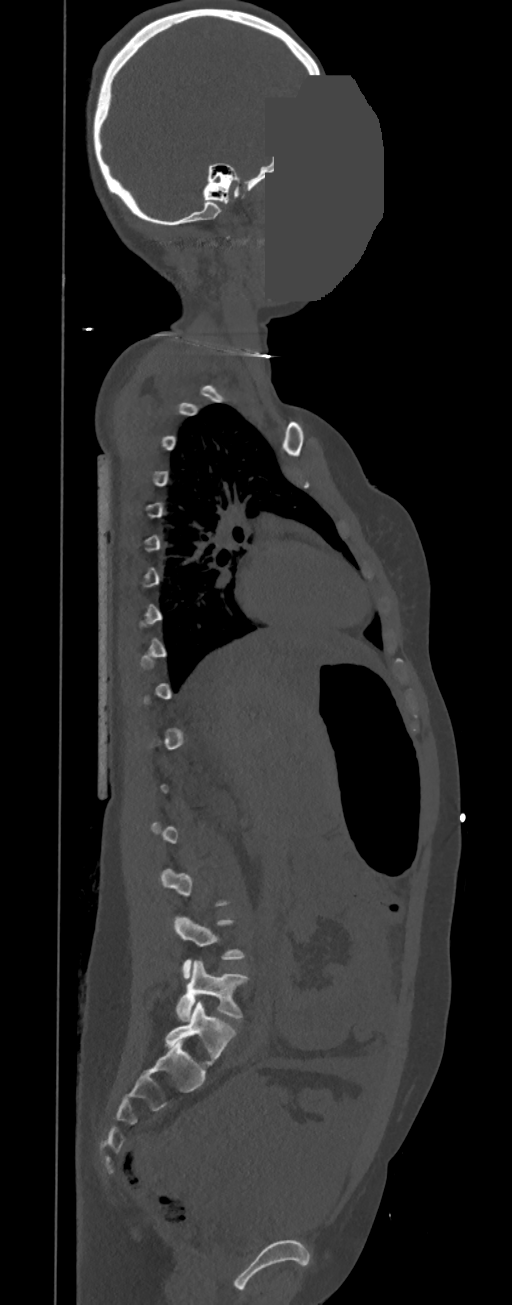
CT, spine · sagittal reformat · the image spans 350 mm across · bone-window reconstruction · some of the image was removed or blocked out with constant pixels

Boxes: x1:y1:x2:y2 in pixels.
A vertebra is boxed only from the first to the last slice where its cross-section is at least a third of its largest; slices outside that range leave it without a box.
L5: 175:961:247:1019
L4: 174:915:245:979